Spine CT. Sagittal slice 190/381. bone-window reconstruction. 7 vertebrae labeled in this scan
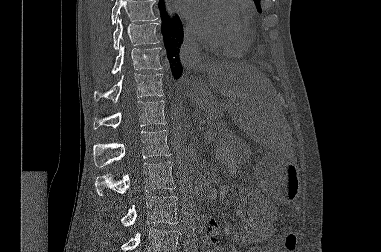
Bounding boxes as [x1, y1, x2, y2] in pixel coordinates.
Vertebrae that run past the top or bottom of the scan are left unlabeled.
T9: [113, 18, 159, 49]
T10: [111, 45, 162, 74]
T11: [94, 73, 163, 102]
T12: [93, 100, 166, 129]
L1: [93, 130, 171, 167]
L2: [95, 161, 175, 196]
L3: [121, 196, 178, 226]